CT, spine; the image is 361 mm wide; sagittal view; 512x878 px; scan covers 17 annotated vertebrae
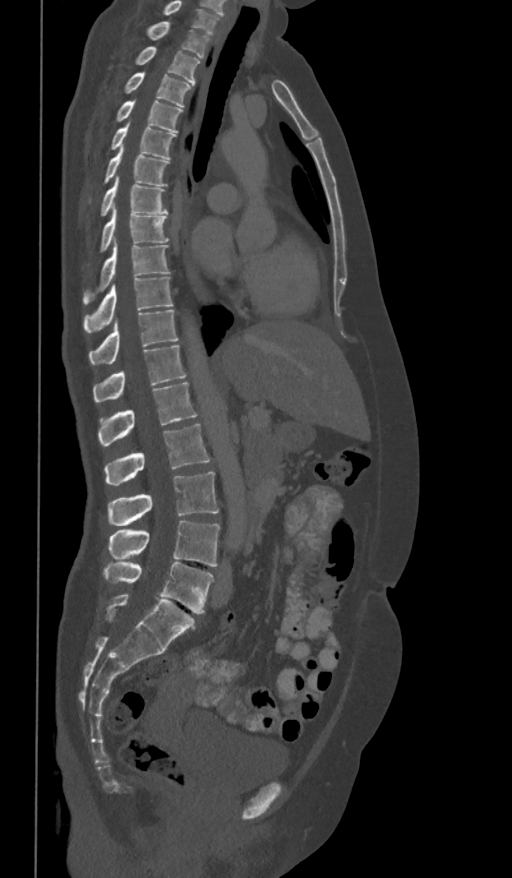
Labels in this scan begin with T1 at the top and end with L5 at the bottom.
<vertebrae><v name="L5" x1="103" y1="562" x2="213" y2="613"/><v name="L4" x1="109" y1="521" x2="220" y2="567"/><v name="L3" x1="108" y1="471" x2="219" y2="526"/><v name="L2" x1="105" y1="423" x2="210" y2="484"/><v name="L1" x1="98" y1="382" x2="197" y2="446"/><v name="T12" x1="93" y1="345" x2="186" y2="402"/><v name="T11" x1="89" y1="310" x2="179" y2="364"/><v name="T10" x1="83" y1="277" x2="173" y2="332"/><v name="T9" x1="82" y1="244" x2="170" y2="304"/><v name="T8" x1="99" y1="208" x2="169" y2="253"/><v name="T7" x1="100" y1="177" x2="168" y2="216"/><v name="T6" x1="89" y1="146" x2="169" y2="202"/><v name="T5" x1="109" y1="123" x2="176" y2="159"/><v name="T4" x1="115" y1="101" x2="182" y2="133"/><v name="T3" x1="123" y1="73" x2="192" y2="106"/><v name="T2" x1="133" y1="46" x2="200" y2="85"/><v name="T1" x1="146" y1="22" x2="210" y2="58"/></vertebrae>